CT; sagittal plane, index 237; Bone window (WL 400, WW 1800)
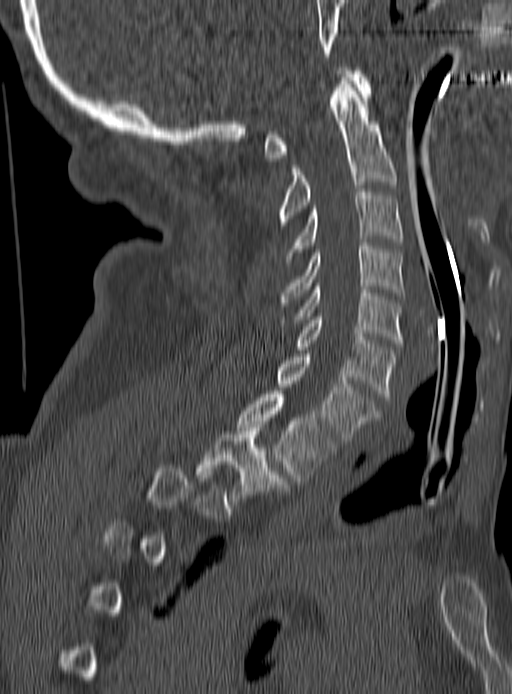
Boxes: x1:y1:x2:y2 in pixels. A vertebra is boxed only from the first to the last slice where its cross-section is at least a third of its largest; slices outside that range leave it without a box. Vertebrae labeled: C1 at 264:67:371:161, C2 at 278:77:396:225, C3 at 286:189:401:265, C4 at 281:243:404:302, C5 at 276:283:401:343, C6 at 297:313:396:400, C7 at 278:354:380:440, T1 at 238:391:334:481, T2 at 198:424:285:498.